CT spine; sagittal view; bone window; 5 vertebrae labeled in this scan
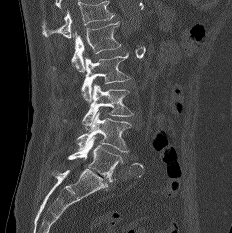 Each box given as x1,y1,x2,y2. A vertebra cut off by the top edge of the scan is not labeled and has no box. The labeled vertebrae in this slice are: L1 at x1=71, y1=21, x2=120, y2=72, L2 at x1=81, y1=53, x2=130, y2=102, L3 at x1=82, y1=84, x2=132, y2=129, L4 at x1=76, y1=112, x2=131, y2=152, L5 at x1=68, y1=136, x2=122, y2=182.